CT spine — sagittal reformat — 8 vertebrae labeled in this scan
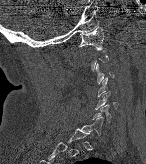 Bounding boxes as [x1, y1, x2, y2] in pixel coordinates.
A vertebra gets a box only on the slices from the first to the last where its cross-section is at least a third of its largest; on a slice outside that range it gets none.
C1: [79, 27, 103, 50]
C4: [98, 77, 107, 96]
C5: [95, 91, 117, 109]